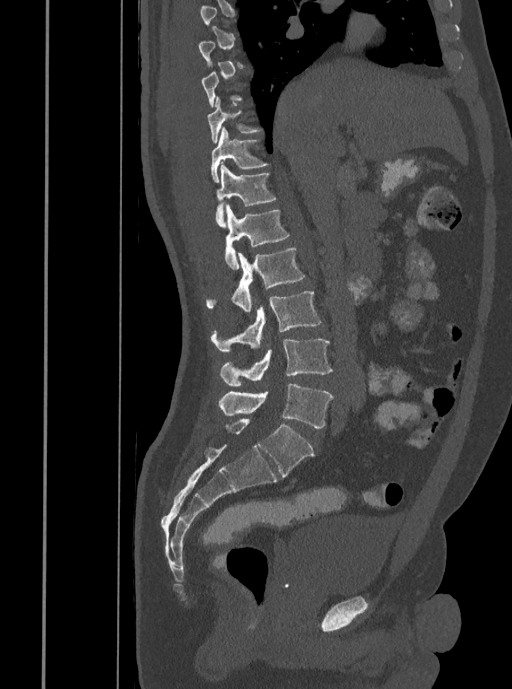
Spine computed tomography. sagittal view. bone-window reconstruction. 512x689 px
A vertebra is boxed only from the first to the last slice where its cross-section is at least a third of its largest; slices outside that range leave it without a box.
<vertebrae><v name="T10" x1="207" y1="96" x2="261" y2="142"/><v name="T11" x1="211" y1="128" x2="267" y2="182"/><v name="T12" x1="216" y1="162" x2="276" y2="227"/><v name="L1" x1="224" y1="204" x2="289" y2="269"/><v name="L2" x1="206" y1="247" x2="305" y2="312"/><v name="L3" x1="211" y1="291" x2="321" y2="351"/><v name="L4" x1="219" y1="339" x2="333" y2="385"/><v name="L5" x1="218" y1="383" x2="333" y2="428"/></vertebrae>